CT, spine — sagittal reformat — Bone window (WL 400, WW 1800)
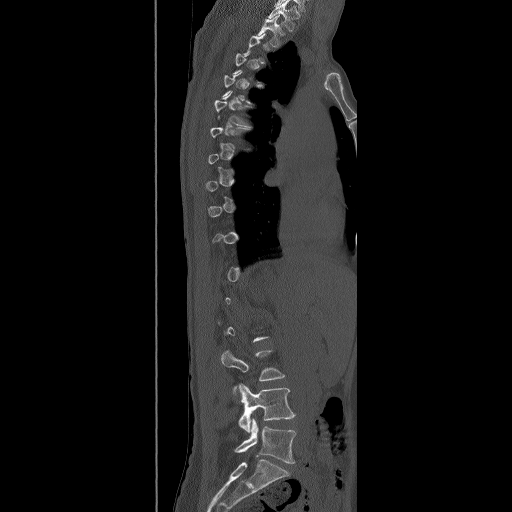
Box edges are left/top/right/bottom in pixels. Each vertebra is boxed only on the slices from the first to the last where its cross-section reaches a third of its largest, so a slice outside that range leaves it unboxed. The highest labeled vertebra in this scan is T2; the lowest is L5. The labeled vertebrae in this slice are: T2 at left=257, top=15, right=285, bottom=47, T6 at left=214, top=91, right=251, bottom=127, L3 at left=221, top=350, right=284, bottom=392, L4 at left=238, top=383, right=295, bottom=432, L5 at left=234, top=419, right=295, bottom=464.